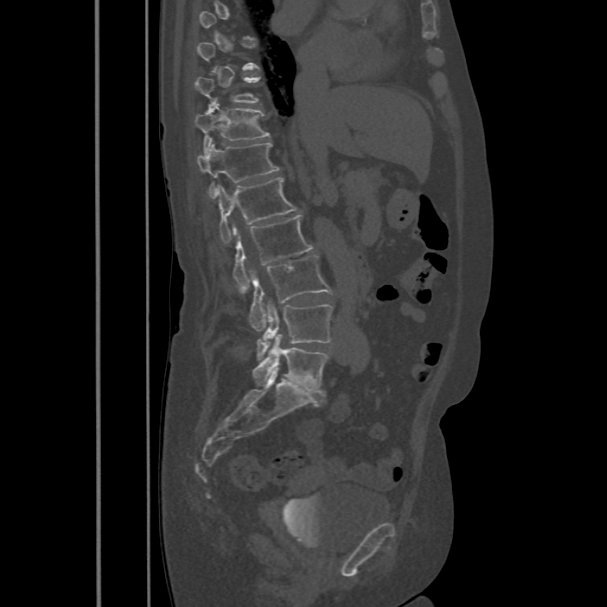

Spine computed tomography. sagittal view. bone window
A vertebra is boxed only from the first to the last slice where its cross-section is at least a third of its largest; slices outside that range leave it without a box.
<vertebrae><v name="T10" x1="195" y1="76" x2="259" y2="105"/><v name="T11" x1="195" y1="100" x2="269" y2="152"/><v name="T12" x1="196" y1="142" x2="279" y2="197"/><v name="L1" x1="217" y1="177" x2="298" y2="242"/><v name="L2" x1="232" y1="215" x2="312" y2="289"/><v name="L3" x1="249" y1="255" x2="332" y2="329"/><v name="L4" x1="256" y1="305" x2="332" y2="359"/><v name="L5" x1="253" y1="335" x2="328" y2="395"/></vertebrae>